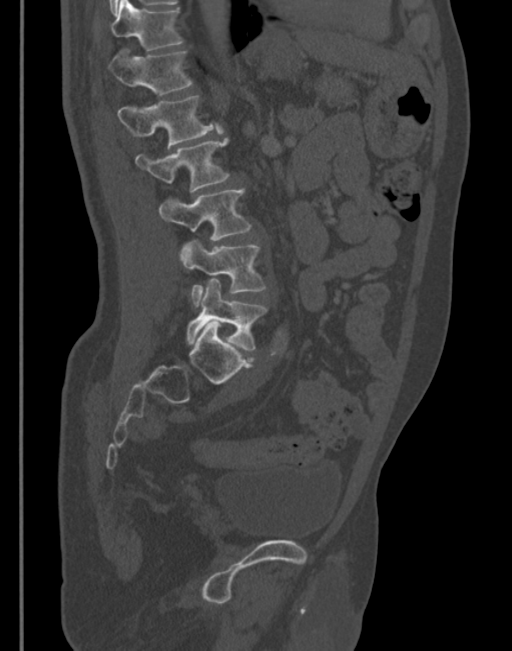

Spine computed tomography. sagittal view
Coordinates as <box>x1,y1,x2,y2</box>.
T11: <box>110,0,183,50</box>
T12: <box>108,49,192,95</box>
L1: <box>117,96,223,146</box>
L2: <box>135,138,229,193</box>
L3: <box>159,189,251,240</box>
L4: <box>179,240,266,306</box>
L5: <box>187,278,266,350</box>